CT · sagittal view · bone window · scan covers 9 annotated vertebrae · 377 mm across the image
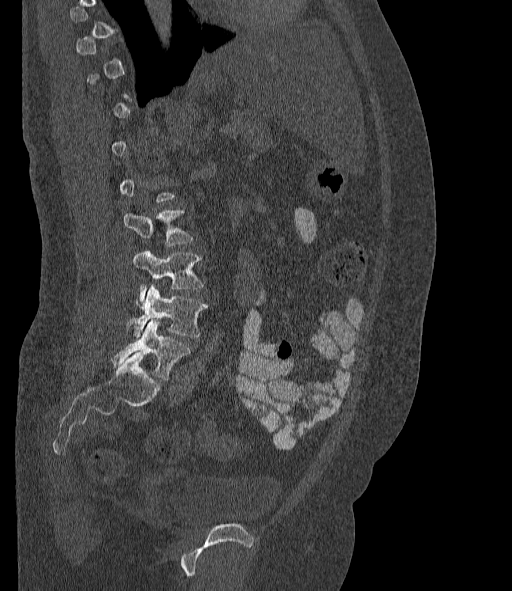
Boxes below are [x1, y1, x2, y2] in pixels.
Not every vertebra on this slice has a box: a vertebra is boxed only from the first to the last slice where its cross-section is at least a third of its largest, and this slice is outside that range for at least one of them.
The labels name a sixth lumbar vertebra for this spine: L6, after L5.
{"vertebrae":{"L3":[123,211,192,246],"L4":[133,251,203,296],"L5":[126,285,207,337],"L6":[113,319,190,379]}}